CT; sagittal view; 350 mm wide; 512x714 px
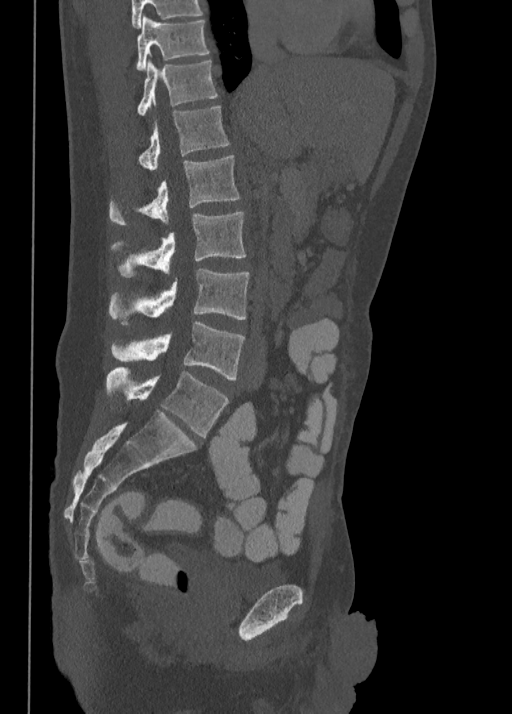
Boxes are (x1, y1, x2, y2) in pixels.
Labels in this scan begin with T10 at the top and end with L5 at the bottom.
T10: (137, 16, 209, 70)
T11: (137, 59, 218, 116)
T12: (139, 105, 230, 170)
L1: (109, 155, 240, 225)
L2: (111, 212, 246, 277)
L3: (109, 269, 249, 326)
L4: (111, 321, 245, 379)
L5: (107, 367, 228, 436)